CT, spine · sagittal view · 512x589 px
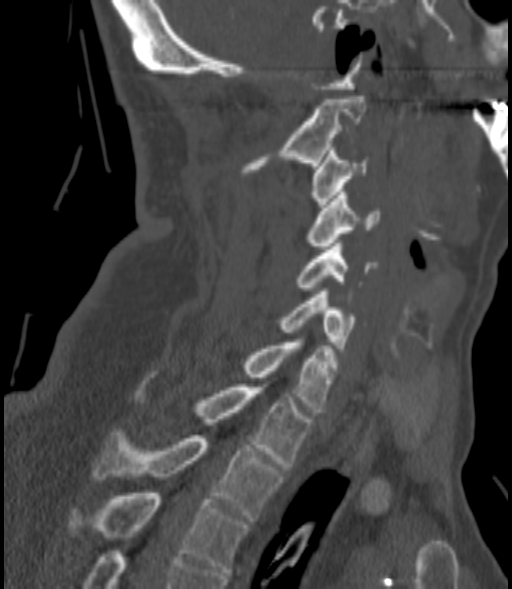

In the table, x1 and y1 are a box's top-left corner and x2 and y2 its bottom-right corner, in pixels.
| vertebra | x1 | y1 | x2 | y2 |
|---|---|---|---|---|
| C2 | 241 | 96 | 366 | 172 |
| C3 | 311 | 147 | 368 | 207 |
| C4 | 305 | 192 | 379 | 249 |
| C5 | 295 | 243 | 377 | 290 |
| C6 | 280 | 291 | 355 | 351 |
| C7 | 241 | 339 | 335 | 415 |
| T1 | 134 | 381 | 310 | 466 |
| T2 | 93 | 429 | 281 | 521 |
| T3 | 67 | 493 | 248 | 575 |